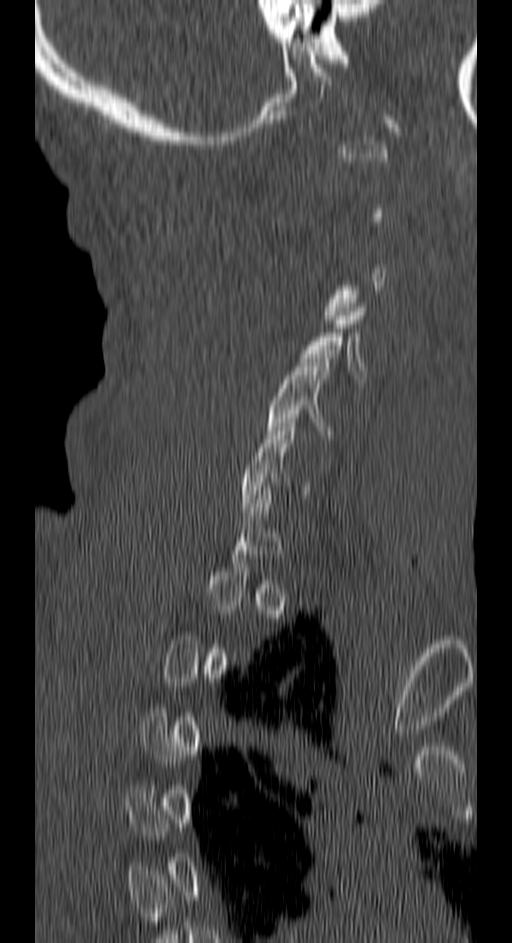 Spine CT. 150 mm across the image. sagittal view
Box values are [left, top, right, bottom] in pixels.
Each vertebra is boxed only on the slices from the first to the last where its cross-section reaches a third of its largest, so a slice outside that range leaves it unboxed.
{"vertebrae":{"C5":[267,354,336,438],"C4":[298,303,367,379]}}